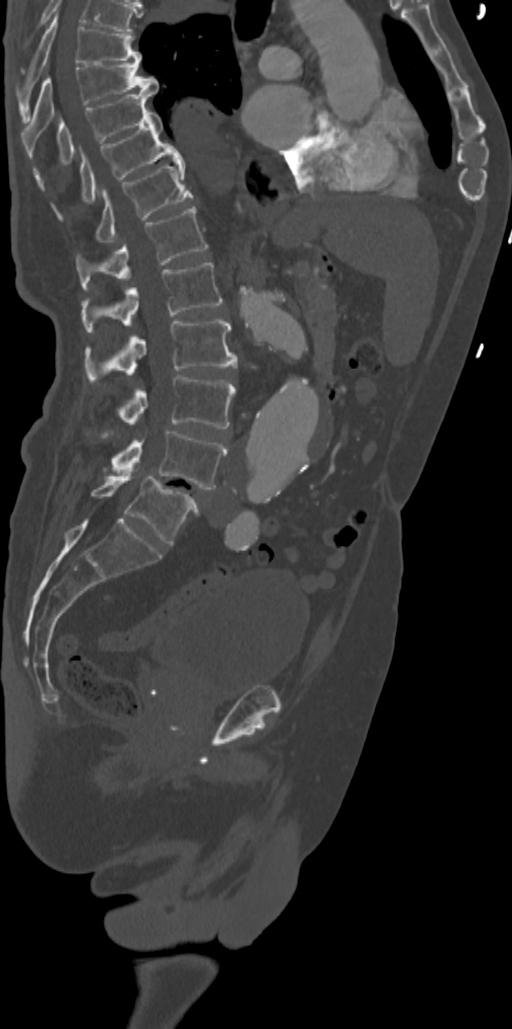 CT spine; sagittal view; W/L 1800/400 HU; 512x1029 px
Boxes are (x1, y1, x2, y2) in pixels.
T7: (18, 13, 141, 120)
T8: (22, 61, 159, 138)
T9: (33, 90, 155, 174)
T10: (51, 110, 183, 210)
T11: (94, 162, 192, 242)
T12: (76, 207, 208, 291)
L1: (81, 263, 222, 331)
L2: (84, 319, 237, 381)
L3: (117, 375, 235, 428)
L4: (111, 431, 226, 489)
L5: (91, 472, 198, 545)